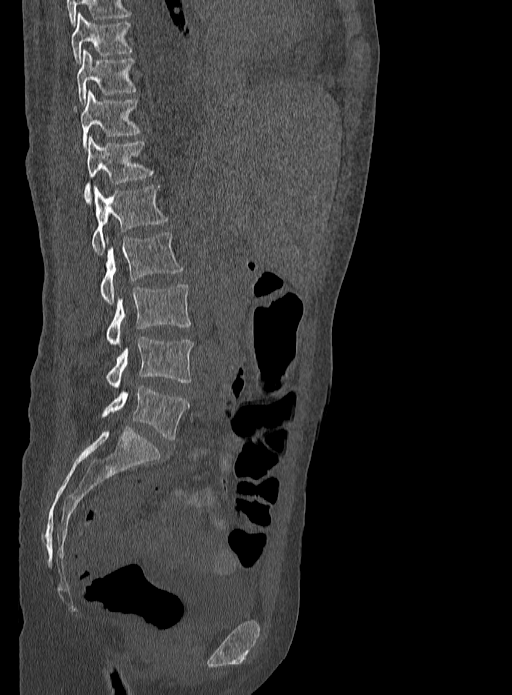
CT; sagittal view; W/L 1800/400 HU
Boxes are (x1, y1, x2, y2) in pixels.
T9: (70, 14, 132, 64)
T10: (77, 49, 136, 104)
T11: (80, 91, 140, 148)
T12: (84, 137, 154, 202)
L1: (92, 186, 168, 254)
L2: (100, 232, 182, 303)
L3: (106, 284, 191, 345)
L4: (106, 337, 192, 388)
L5: (101, 386, 189, 439)